CT spine; sagittal view; 140 mm image width; 512x923 px
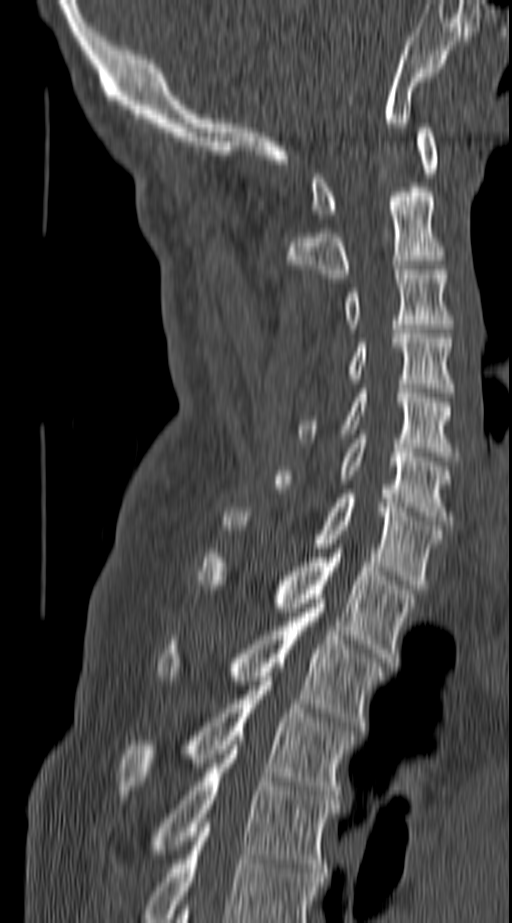 Boxes: x1 y1 x2 y2 (pixel coords, space-separated). The highest labeled vertebra in this scan is C1; the lowest is T4. Vertebrae labeled: T4 at 107 745 337 877, T3 at 118 681 355 804, T2 at 155 603 384 730, T1 at 199 549 414 662, C7 at 221 494 443 589, C6 at 276 434 454 525, C5 at 296 389 461 456, C4 at 309 329 454 397, C3 at 341 270 454 328, C2 at 287 187 447 278, C1 at 312 128 436 218.